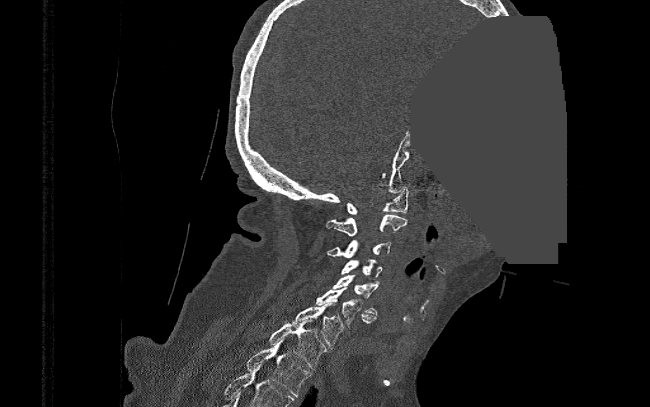 CT spine; sagittal view; Bone window (WL 400, WW 1800); 390 mm image width; a region is masked with a constant gray value. Boxes: x1 y1 x2 y2 (pixel coords, space-separated).
T2: 246 339 310 397
T1: 269 319 325 369
C7: 289 302 342 348
C6: 315 287 376 327
C5: 333 275 379 315
C4: 342 259 382 279
C3: 326 239 391 257
C2: 326 214 407 236
C1: 345 188 408 214